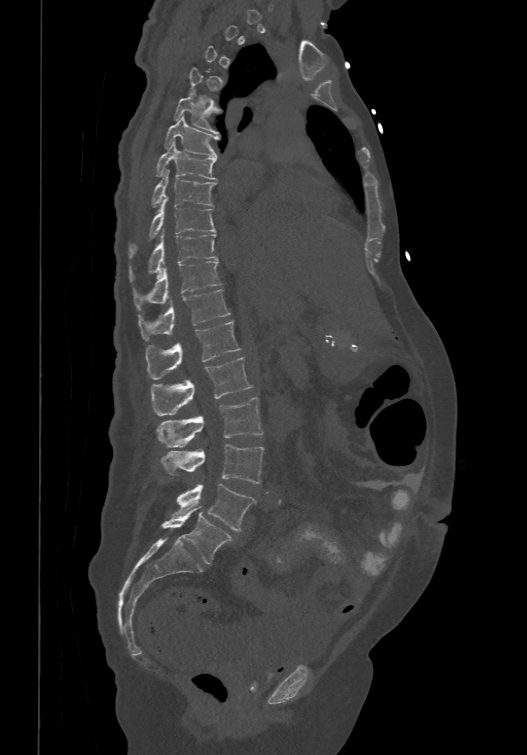
CT spine; sagittal view; bone-window reconstruction. In the table, x1 and y1 are a box's top-left corner and x2 and y2 its bottom-right corner, in pixels.
Not every vertebra on this slice has a box: a vertebra is boxed only from the first to the last slice where its cross-section is at least a third of its largest, and this slice is outside that range for at least one of them.
In these labels the spine has an L6, a sixth lumbar vertebra below L5.
| vertebra | x1 | y1 | x2 | y2 |
|---|---|---|---|---|
| T5 | 173 | 91 | 220 | 133 |
| T6 | 165 | 114 | 219 | 157 |
| T7 | 156 | 140 | 217 | 179 |
| T8 | 152 | 168 | 216 | 206 |
| T9 | 129 | 195 | 216 | 256 |
| T10 | 130 | 228 | 217 | 280 |
| T11 | 135 | 258 | 221 | 309 |
| T12 | 139 | 288 | 229 | 339 |
| L1 | 145 | 320 | 240 | 378 |
| L2 | 151 | 356 | 252 | 415 |
| L3 | 155 | 397 | 262 | 447 |
| L4 | 160 | 444 | 263 | 483 |
| L5 | 175 | 484 | 255 | 531 |
| L6 | 160 | 506 | 233 | 564 |